CT, spine — sagittal reformat
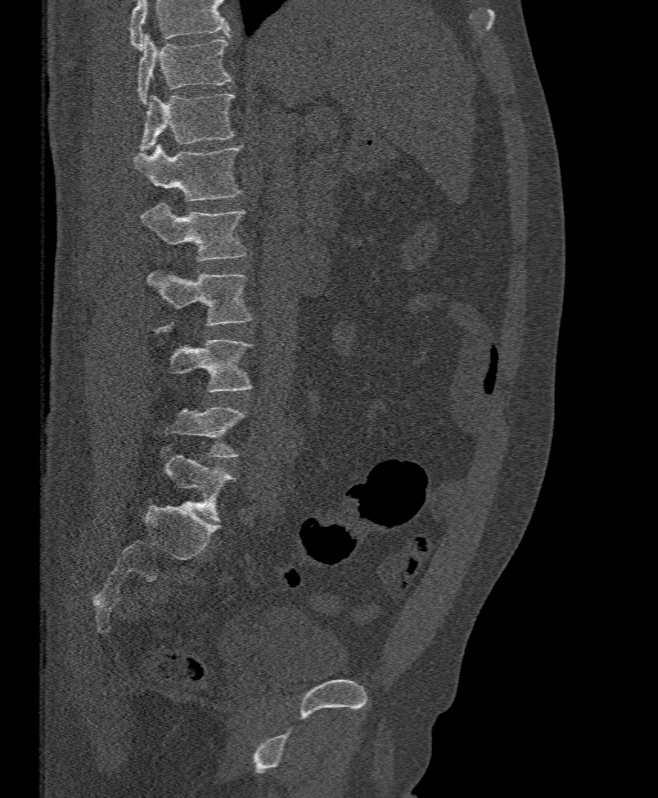
Columns x1, y1, x2, y2 give each box's top-left and bottom-right pixels.
Vertebrae that run past the top of the scan are left unlabeled.
| vertebra | x1 | y1 | x2 | y2 |
|---|---|---|---|---|
| T11 | 138 | 33 | 230 | 104 |
| T12 | 140 | 93 | 234 | 151 |
| L1 | 134 | 143 | 241 | 201 |
| L2 | 141 | 203 | 246 | 261 |
| L3 | 147 | 272 | 252 | 326 |
| L4 | 153 | 322 | 252 | 392 |
| L5 | 168 | 407 | 243 | 457 |